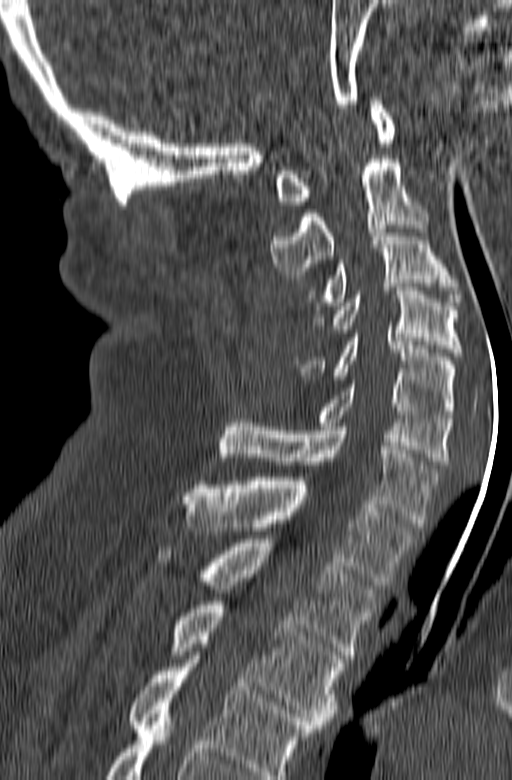

Spine computed tomography; sagittal view; bone-window reconstruction

Boxes: x1:y1:x2:y2 in pixels.
Labels in this scan begin with C1 at the top and end with T3 at the bottom.
Vertebra bounding boxes:
- T3: 168:601:344:728
- T2: 157:539:379:658
- T1: 182:477:416:585
- C7: 218:419:438:527
- C6: 317:380:451:464
- C5: 292:334:458:418
- C4: 314:287:462:356
- C3: 308:229:460:305
- C2: 270:159:428:278
- C1: 274:97:394:205